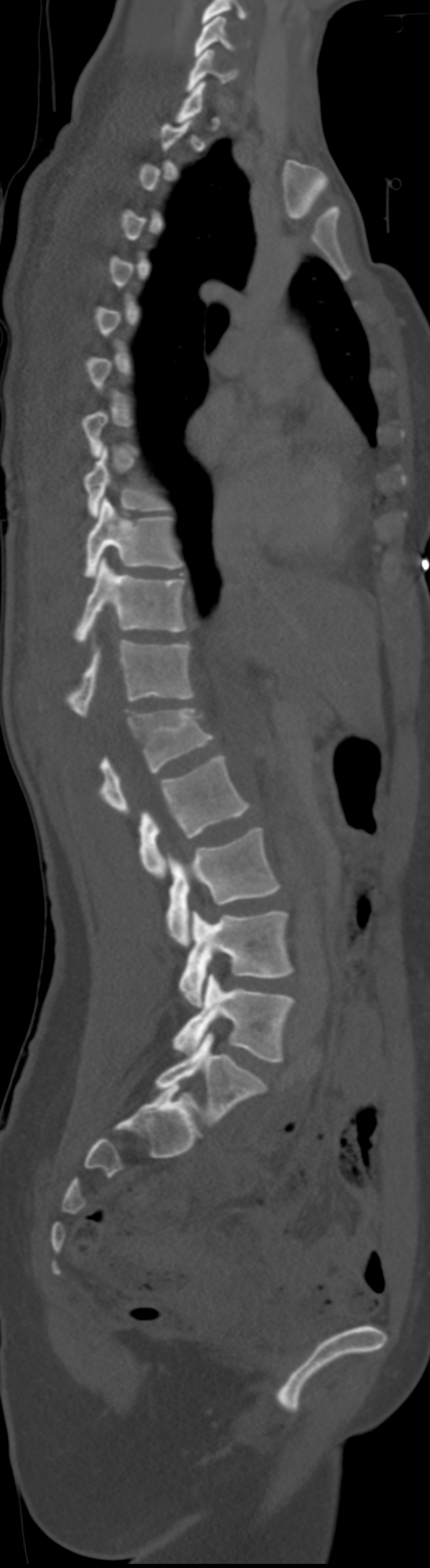

Spine CT. sagittal view. 430x1568 px. Box edges are left/top/right/bottom in pixels.
A vertebra is boxed only from the first to the last slice where its cross-section is at least a third of its largest; slices outside that range leave it without a box.
In these labels the spine has an L6, a sixth lumbar vertebra below L5. These labels give this spine no T12: after T11 the next vertebra is L1.
| vertebra | x1 | y1 | x2 | y2 |
|---|---|---|---|---|
| C5 | 193 | 16 | 233 | 57 |
| C6 | 186 | 49 | 238 | 91 |
| T8 | 84 | 447 | 168 | 516 |
| T9 | 84 | 498 | 181 | 577 |
| T10 | 75 | 557 | 188 | 642 |
| T11 | 66 | 640 | 195 | 716 |
| L1 | 99 | 709 | 215 | 814 |
| L2 | 139 | 754 | 251 | 877 |
| L3 | 166 | 828 | 280 | 946 |
| L4 | 178 | 911 | 293 | 1007 |
| L5 | 173 | 974 | 296 | 1062 |
| L6 | 155 | 1032 | 266 | 1125 |